CT spine — sagittal reformat — the image is 368 mm wide — Bone window (WL 400, WW 1800) — 512x905 px — 18 vertebrae labeled in this scan
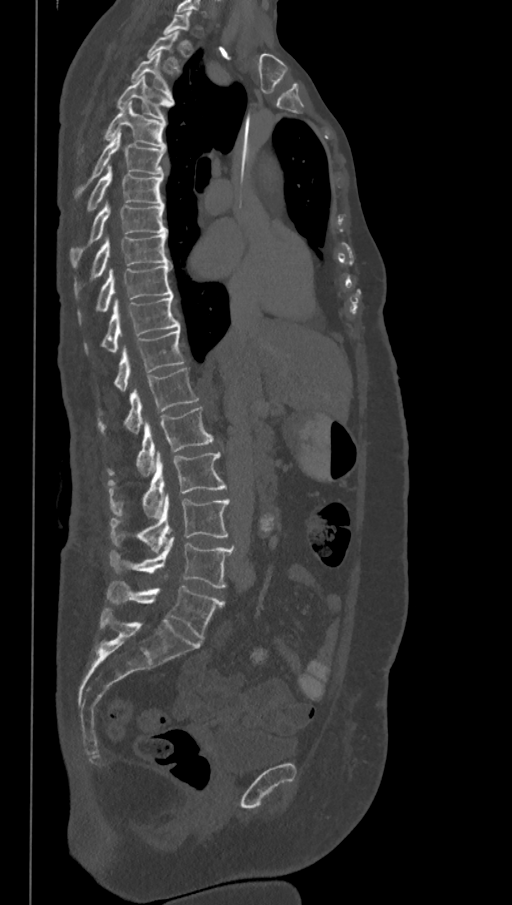 Not every vertebra on this slice has a box: a vertebra is boxed only from the first to the last slice where its cross-section is at least a third of its largest, and this slice is outside that range for at least one of them.
The labels name a sixth lumbar vertebra for this spine: L6, after L5.
<vertebrae><v name="T2" x1="147" y1="30" x2="180" y2="69"/><v name="T3" x1="131" y1="53" x2="173" y2="94"/><v name="T4" x1="117" y1="76" x2="174" y2="122"/><v name="T5" x1="103" y1="103" x2="166" y2="148"/><v name="T6" x1="74" y1="131" x2="166" y2="199"/><v name="T7" x1="86" y1="167" x2="163" y2="212"/><v name="T8" x1="69" y1="203" x2="167" y2="267"/><v name="T9" x1="74" y1="233" x2="171" y2="298"/><v name="T10" x1="78" y1="264" x2="173" y2="325"/><v name="T11" x1="83" y1="294" x2="180" y2="353"/><v name="T12" x1="114" y1="328" x2="184" y2="391"/><v name="L1" x1="97" y1="367" x2="199" y2="435"/><v name="L2" x1="107" y1="407" x2="214" y2="476"/><v name="L3" x1="108" y1="452" x2="226" y2="517"/><v name="L4" x1="110" y1="495" x2="231" y2="552"/><v name="L5" x1="110" y1="537" x2="234" y2="588"/><v name="L6" x1="107" y1="581" x2="224" y2="639"/></vertebrae>